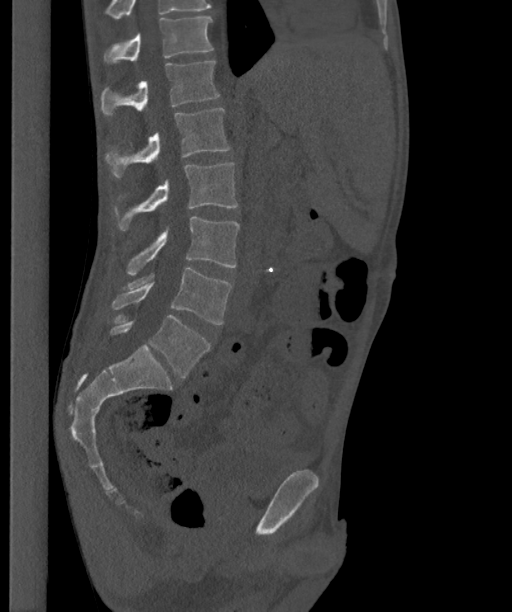
CT — sagittal view — 512x612 px
Boxes: x1 y1 x2 y2 (pixel coords, space-separated).
This scan's labels start at T12 at the top and end at L6 at the bottom.
These labels give the spine a sixth lumbar vertebra, L6, below L5.
T12: 104 17 213 62
L1: 101 61 219 116
L2: 106 108 230 177
L3: 113 162 237 230
L4: 127 216 239 274
L5: 111 268 232 324
L6: 110 315 209 377